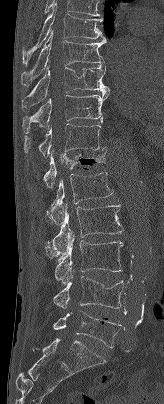
CT, spine; sagittal view; Bone window (WL 400, WW 1800)
Bounding boxes as [x1, y1, x2, y2] in pixel coordinates.
Vertebra bounding boxes:
- T7: [22, 3, 107, 64]
- T8: [21, 31, 106, 86]
- T9: [21, 64, 109, 111]
- T10: [22, 93, 109, 133]
- T11: [23, 123, 104, 156]
- T12: [43, 148, 107, 187]
- L1: [46, 172, 113, 224]
- L2: [46, 203, 123, 258]
- L3: [54, 232, 123, 285]
- L4: [53, 275, 123, 308]
- L5: [53, 311, 123, 347]